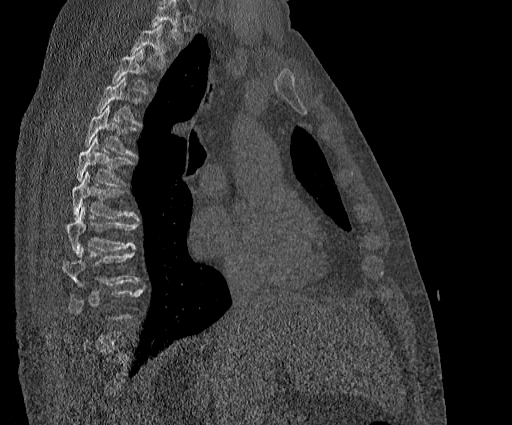

CT spine · image 384 mm wide · sagittal view · bone window
Box edges are left/top/right/bottom in pixels.
Each vertebra is boxed only on the slices from the first to the last where its cross-section reaches a third of its largest, so a slice outside that range leaves it unboxed.
A vertebra cut off by the top edge of the scan is not labeled and has no box.
Vertebra bounding boxes:
- T2: left=130, top=24, right=169, bottom=68
- T3: left=112, top=48, right=148, bottom=94
- T4: left=96, top=77, right=141, bottom=124
- T5: left=85, top=105, right=137, bottom=156
- T6: left=77, top=136, right=135, bottom=186
- T7: left=72, top=171, right=139, bottom=220
- T8: left=66, top=207, right=138, bottom=255
- T9: left=62, top=245, right=140, bottom=287